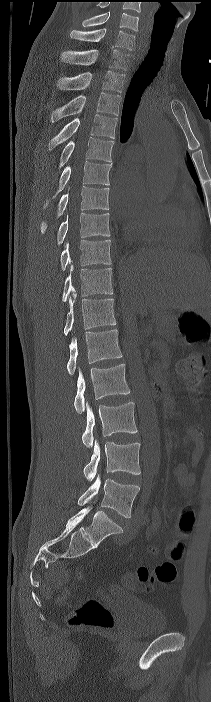 CT — sagittal view — W/L 1800/400 HU
Boxes: x1 y1 x2 y2 (pixel coords, space-separated).
Labels in this scan begin with C7 at the top and end with L4 at the bottom.
C7: 70 28 135 50
T1: 61 49 130 70
T2: 56 70 125 92
T3: 51 92 120 122
T4: 48 114 117 150
T5: 58 137 113 168
T6: 43 161 112 207
T7: 41 186 109 233
T8: 57 212 110 244
T9: 60 240 111 270
T10: 62 265 112 301
T11: 64 293 116 335
T12: 67 329 122 374
L1: 74 364 130 413
L2: 82 401 137 447
L3: 83 439 140 481
L4: 78 473 139 517